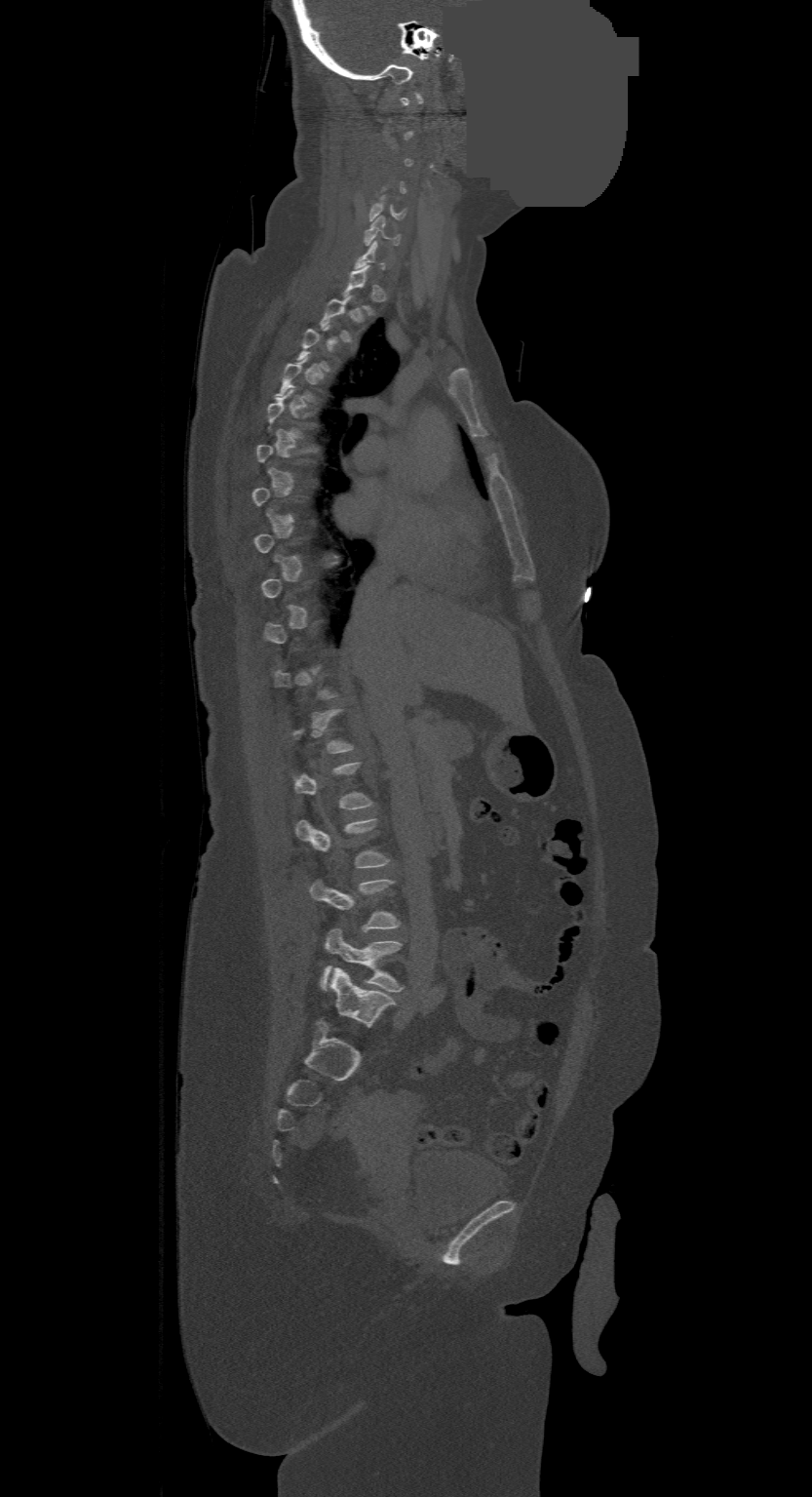 CT; sagittal view; bone-window reconstruction; 812x1497 px; some of the image was removed or blocked out with constant pixels. Boxes: x1 y1 x2 y2 (pixel coords, space-separated).
Not every vertebra on this slice has a box: a vertebra is boxed only from the first to the last slice where its cross-section is at least a third of its largest, and this slice is outside that range for at least one of them.
In this scan, the topmost labeled vertebra is C1 and the lowest is L4.
Vertebra bounding boxes:
- C5: 368 195 406 220
- C6: 364 217 399 245
- L2: 295 818 389 867
- L3: 311 880 401 930
- L4: 321 928 404 991